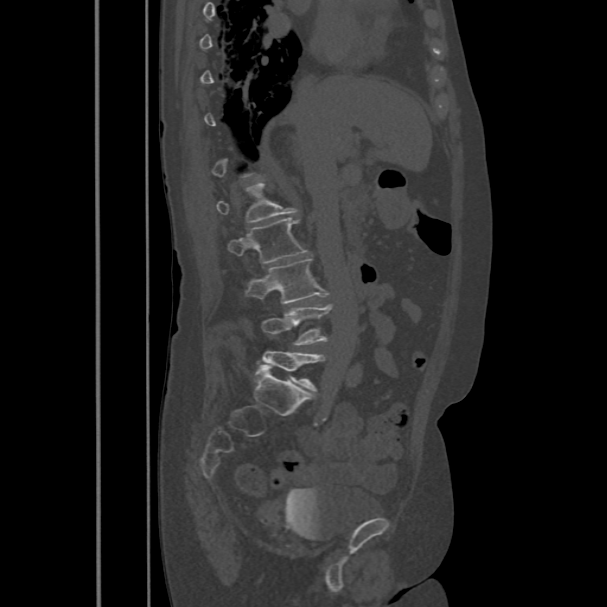
CT spine; sagittal view; the image is 486 mm wide
Each vertebra maps to its box as [x1, y1, x2, y2], the pixel coordinates of its top-left and bottom-right corners.
{"vertebrae":{"L1":[216,182,297,222],"L2":[229,217,307,264],"L3":[247,257,326,304],"L4":[262,305,331,345],"L5":[260,351,325,390]}}